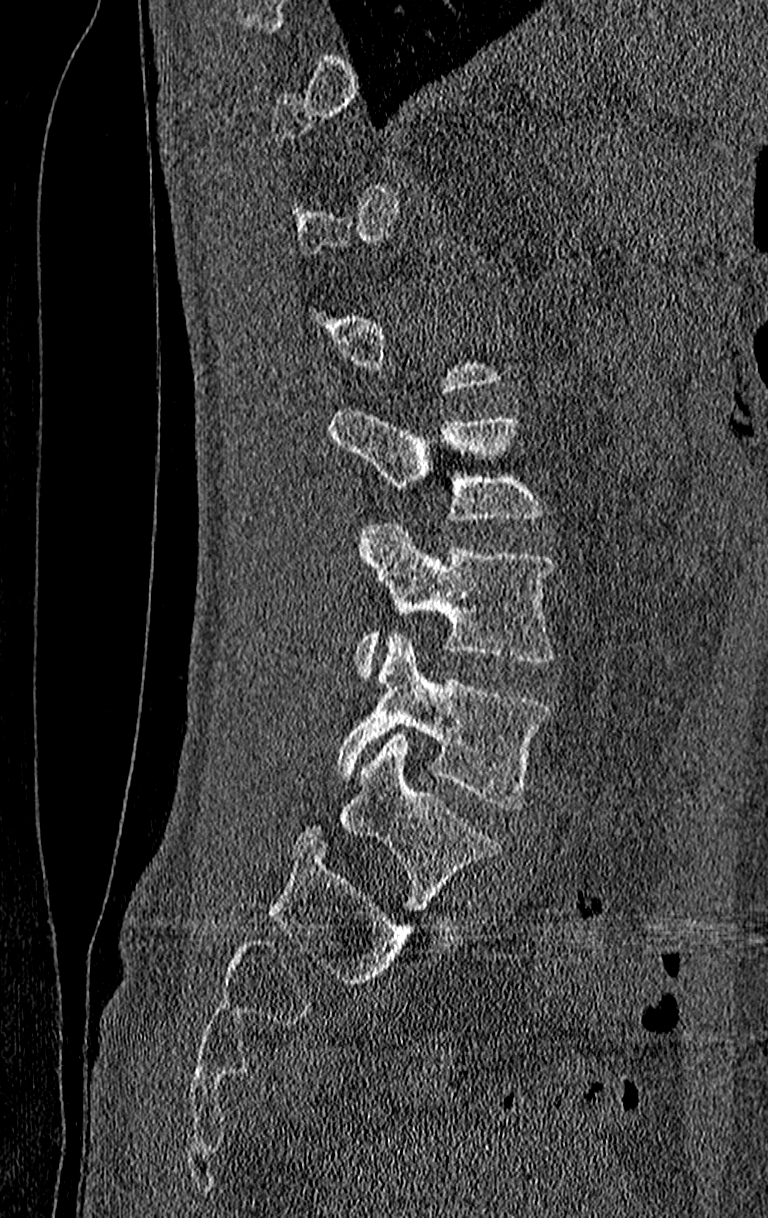

Spine CT; 210 mm image width; sagittal view

Boxes are given in columns x1, y1, x2, y2, the pixel coordinates of their top-left and bottom-right corners.
A vertebra is boxed only from the first to the last slice where its cross-section is at least a third of its largest; slices outside that range leave it without a box.
This scan's labels start at T11 at the top and end at L4 at the bottom.
| vertebra | x1 | y1 | x2 | y2 |
|---|---|---|---|---|
| L2 | 328 | 406 | 546 | 522 |
| L3 | 353 | 523 | 554 | 680 |
| L4 | 335 | 630 | 550 | 809 |